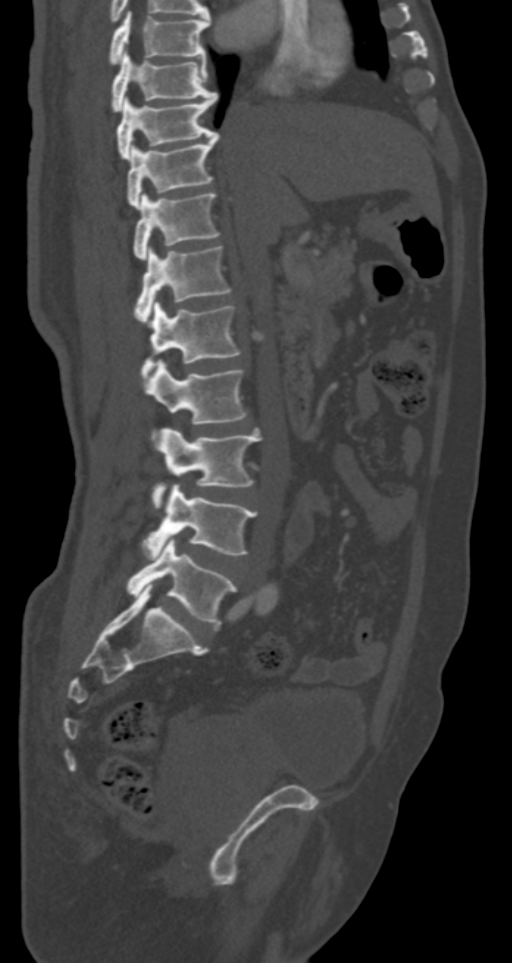 Spine computed tomography — sagittal view — image width 287 mm — 512x963 px. Box edges are left/top/right/bottom in pixels.
Vertebra bounding boxes:
- T7: left=110, top=10, right=209, bottom=63
- T8: left=112, top=51, right=216, bottom=111
- T9: left=117, top=94, right=216, bottom=159
- T10: left=128, top=134, right=218, bottom=208
- T11: left=133, top=192, right=220, bottom=259
- T12: left=133, top=246, right=231, bottom=324
- L1: left=142, top=301, right=239, bottom=377
- L2: left=144, top=360, right=245, bottom=424
- L3: left=153, top=428, right=261, bottom=507
- L4: left=142, top=483, right=257, bottom=558
- L5: left=126, top=537, right=236, bottom=625